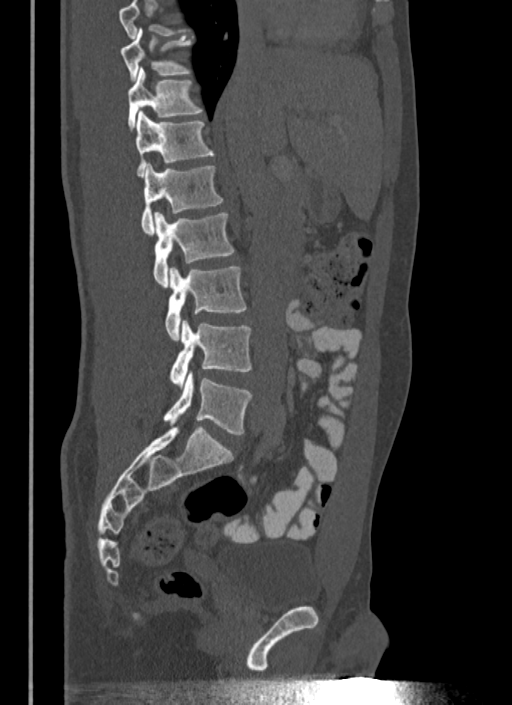
CT · sagittal reformat
Each box given as x1,y1,x2,y2. Vertebrae that run past the top of the scan are left unlabeled. The labeled vertebrae in this slice are: T10 at x1=120, y1=29, x2=191, y2=79, T11 at x1=128, y1=68, x2=202, y2=129, T12 at x1=135, y1=110, x2=213, y2=177, L1 at x1=141, y1=163, x2=223, y2=235, L2 at x1=153, y1=212, x2=234, y2=288, L3 at x1=165, y1=267, x2=246, y2=341, L4 at x1=170, y1=319, x2=252, y2=388, L5 at x1=164, y1=370, x2=252, y2=434.